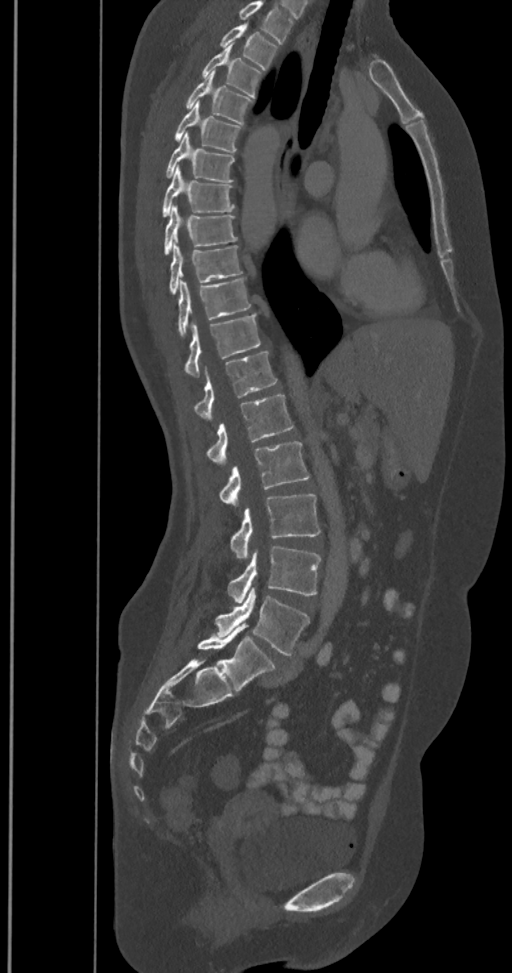 Computed tomography of the spine — sagittal view — bone-window reconstruction
Labels in this scan begin with T2 at the top and end with L6 at the bottom.
These labels give the spine a sixth lumbar vertebra, L6, below L5.
<vertebrae><v name="L6" x1="197" y1="624" x2="275" y2="692"/><v name="L5" x1="215" y1="587" x2="309" y2="655"/><v name="L4" x1="228" y1="546" x2="321" y2="603"/><v name="L3" x1="229" y1="494" x2="321" y2="559"/><v name="L2" x1="219" y1="441" x2="309" y2="506"/><v name="L1" x1="206" y1="394" x2="293" y2="465"/><v name="T12" x1="193" y1="352" x2="277" y2="419"/><v name="T11" x1="184" y1="313" x2="261" y2="377"/><v name="T10" x1="177" y1="278" x2="250" y2="337"/><v name="T9" x1="168" y1="245" x2="242" y2="295"/><v name="T8" x1="164" y1="205" x2="237" y2="256"/><v name="T7" x1="162" y1="166" x2="234" y2="218"/><v name="T6" x1="164" y1="132" x2="234" y2="182"/><v name="T5" x1="172" y1="101" x2="242" y2="152"/><v name="T4" x1="184" y1="71" x2="253" y2="124"/><v name="T3" x1="202" y1="45" x2="262" y2="98"/><v name="T2" x1="219" y1="24" x2="277" y2="71"/></vertebrae>